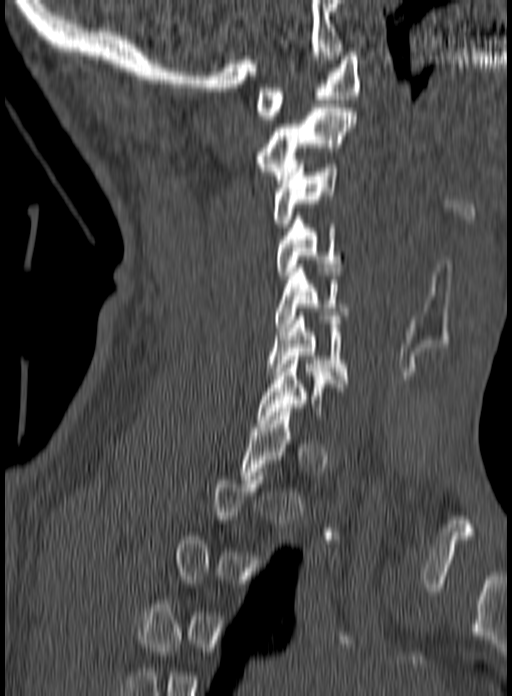

CT, spine. sagittal view. 160 mm wide

Coordinates as <box>x1,y1,x2,y2</box>. A vertebra gets a box only on the slices from the first to the last where its cross-section is at least a third of its largest; on a slice outside that range it gets none. 6 vertebrae labeled — C6 at <box>266,312,347,383</box>; C5 at <box>275,264,350,331</box>; C4 at <box>276,216,343,279</box>; C3 at <box>273,160,339,227</box>; C2 at <box>254,104,355,183</box>; C1 at <box>255,52,360,119</box>.